Spine CT · Sagittal slice 103/210 · 5 vertebrae labeled in this scan
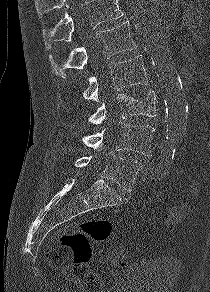
A vertebra cut off by the top edge of the scan is not labeled and has no box.
<vertebrae><v name="L5" x1="74" y1="152" x2="141" y2="191"/><v name="L4" x1="81" y1="122" x2="155" y2="155"/><v name="L3" x1="88" y1="91" x2="156" y2="124"/><v name="L2" x1="82" y1="55" x2="147" y2="101"/><v name="L1" x1="49" y1="21" x2="136" y2="77"/></vertebrae>